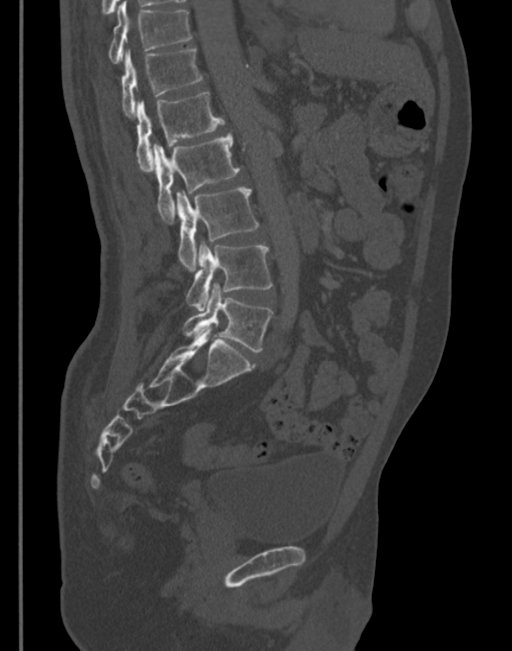

CT spine; sagittal reformat; image 345 mm wide
Columns x1, y1, x2, y2 give each box's top-left and bottom-right pixels.
| vertebra | x1 | y1 | x2 | y2 |
|---|---|---|---|---|
| T11 | 108 | 2 | 192 | 63 |
| T12 | 121 | 49 | 202 | 117 |
| L1 | 135 | 91 | 224 | 170 |
| L2 | 153 | 133 | 239 | 220 |
| L3 | 175 | 188 | 258 | 270 |
| L4 | 185 | 241 | 272 | 311 |
| L5 | 182 | 283 | 272 | 352 |